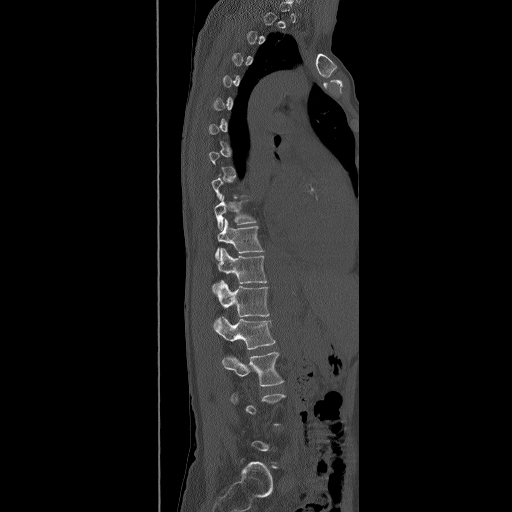

CT, spine. sagittal view. bone-window reconstruction
Boxes are given in columns x1, y1, x2, y2, the pixel coordinates of their top-left and bottom-right corners.
Not every vertebra on this slice has a box: a vertebra is boxed only from the first to the last slice where its cross-section is at least a third of its largest, and this slice is outside that range for at least one of them.
| vertebra | x1 | y1 | x2 | y2 |
|---|---|---|---|---|
| T10 | 213 | 194 | 256 | 230 |
| T11 | 215 | 218 | 264 | 260 |
| T12 | 212 | 247 | 267 | 297 |
| L1 | 218 | 280 | 269 | 316 |
| L2 | 213 | 316 | 275 | 349 |
| L3 | 222 | 352 | 283 | 386 |